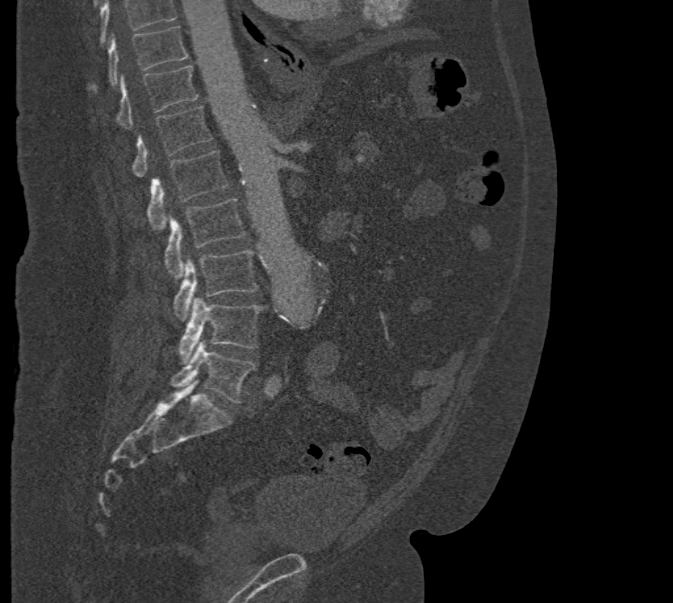
Computed tomography of the spine. sagittal reformat. Bone window (WL 400, WW 1800). 673x603 px
Boxes are (x1, y1, x2, y2) in pixels.
Where the top of the scan cuts through a vertebra, that vertebra gets no label or box.
T10: (88, 26, 187, 92)
T11: (114, 66, 197, 128)
T12: (131, 106, 212, 177)
L1: (147, 150, 228, 228)
L2: (164, 198, 246, 277)
L3: (172, 250, 258, 319)
L4: (179, 298, 264, 362)
L5: (170, 340, 255, 402)